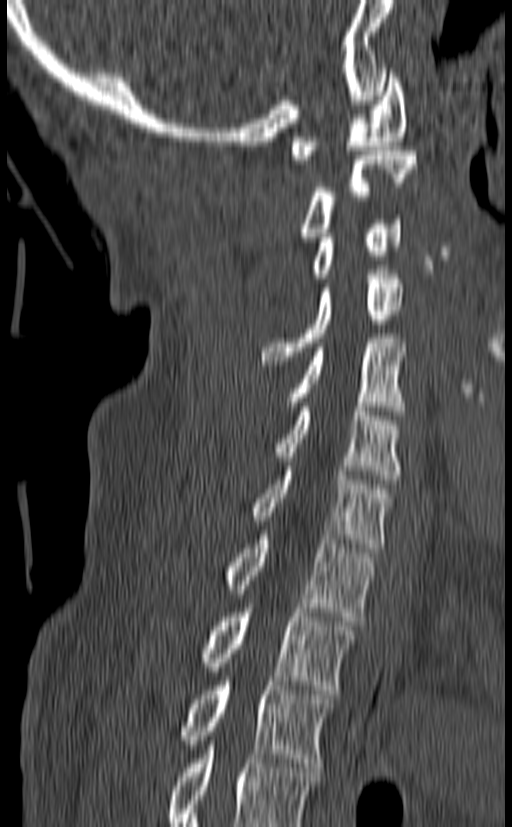
CT · sagittal view · 512x827 px
Bounding boxes as [x1, y1, x2, y2] in pixel coordinates.
Labels in this scan begin with C1 at the top and end with T3 at the bottom.
C1: [290, 69, 406, 164]
C2: [298, 151, 417, 237]
C3: [309, 215, 402, 278]
C4: [260, 270, 403, 365]
C5: [286, 338, 406, 415]
C6: [205, 402, 402, 479]
C7: [250, 466, 392, 552]
T1: [224, 530, 373, 621]
T2: [199, 608, 355, 694]
T3: [181, 677, 333, 767]